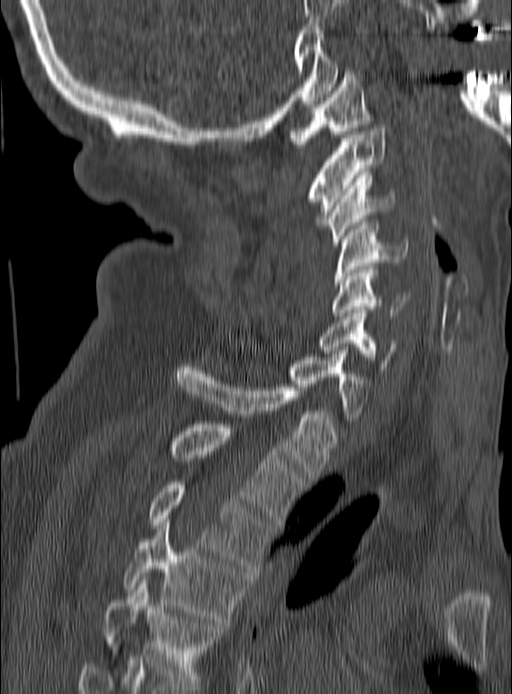
CT, spine; sagittal reformat; image width 190 mm. Each box given as x1,y1,x2,y2.
T5: x1=103, y1=579, x2=226, y2=686
T4: x1=122, y1=519, x2=250, y2=622
T3: x1=149, y1=482, x2=272, y2=568
T2: x1=168, y1=424, x2=304, y2=524
T1: x1=175, y1=364, x2=334, y2=481
C7: x1=289, y1=350, x2=370, y2=417
C6: x1=319, y1=310, x2=397, y2=370
C5: x1=332, y1=269, x2=408, y2=319
C4: x1=335, y1=222, x2=406, y2=285
C3: x1=322, y1=175, x2=395, y2=245
C2: x1=308, y1=128, x2=385, y2=225
C1: x1=288, y1=67, x2=372, y2=147